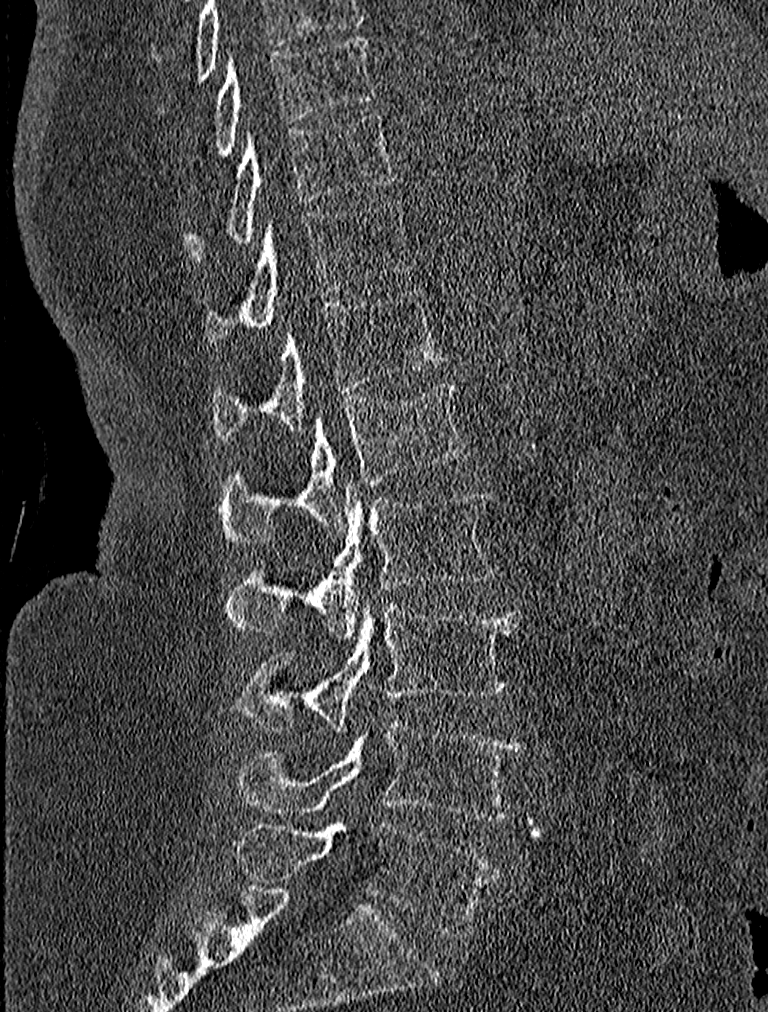

Spine CT — sagittal reformat — bone window
<vertebrae><v name="T9" x1="212" y1="33" x2="373" y2="159"/><v name="T10" x1="185" y1="111" x2="397" y2="262"/><v name="T11" x1="202" y1="199" x2="411" y2="345"/><v name="T12" x1="212" y1="288" x2="448" y2="442"/><v name="L1" x1="219" y1="382" x2="468" y2="546"/><v name="L2" x1="225" y1="481" x2="495" y2="637"/><v name="L3" x1="236" y1="597" x2="519" y2="731"/><v name="L4" x1="236" y1="722" x2="522" y2="820"/><v name="L5" x1="236" y1="821" x2="499" y2="935"/></vertebrae>